CT spine · sagittal view · 12 vertebrae labeled in this scan
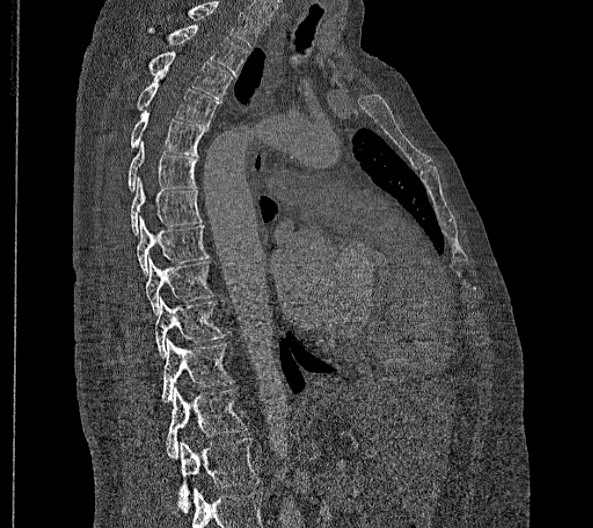 Each box given as x1,y1,x2,y2.
The highest labeled vertebra in this scan is T2; the lowest is L2.
These labels give this spine no T12: after T11 the next vertebra is L1.
| vertebra | x1 | y1 | x2 | y2 |
|---|---|---|---|---|
| T2 | 148 | 25 | 247 | 76 |
| T3 | 149 | 48 | 232 | 99 |
| T4 | 137 | 74 | 218 | 126 |
| T5 | 130 | 111 | 209 | 156 |
| T6 | 127 | 141 | 197 | 191 |
| T7 | 130 | 176 | 202 | 234 |
| T8 | 137 | 216 | 209 | 275 |
| T9 | 146 | 256 | 213 | 313 |
| T10 | 155 | 297 | 224 | 358 |
| T11 | 161 | 339 | 234 | 402 |
| L1 | 166 | 387 | 247 | 459 |
| L2 | 176 | 438 | 259 | 511 |